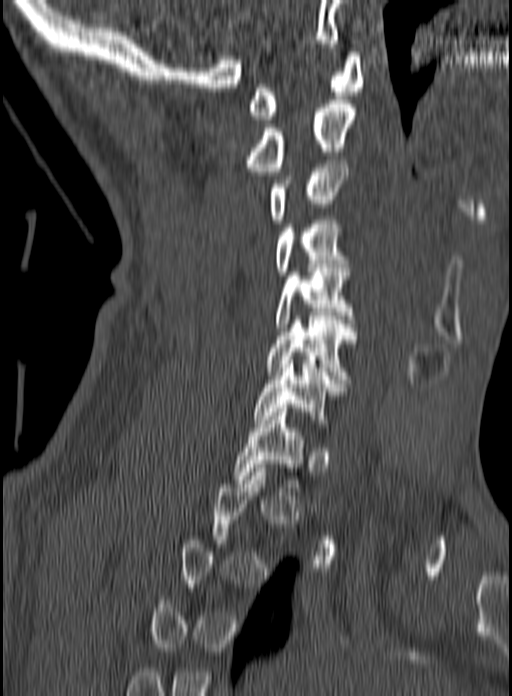
CT spine — sagittal view — W/L 1800/400 HU

Not every vertebra on this slice has a box: a vertebra is boxed only from the first to the last slice where its cross-section is at least a third of its largest, and this slice is outside that range for at least one of them.
<vertebrae><v name="T1" x1="232" y1="408" x2="305" y2="487"/><v name="C7" x1="254" y1="360" x2="345" y2="423"/><v name="C6" x1="267" y1="316" x2="356" y2="383"/><v name="C5" x1="276" y1="268" x2="355" y2="331"/><v name="C4" x1="275" y1="216" x2="349" y2="279"/><v name="C3" x1="270" y1="160" x2="347" y2="223"/><v name="C2" x1="248" y1="100" x2="355" y2="171"/><v name="C1" x1="247" y1="52" x2="362" y2="119"/></vertebrae>